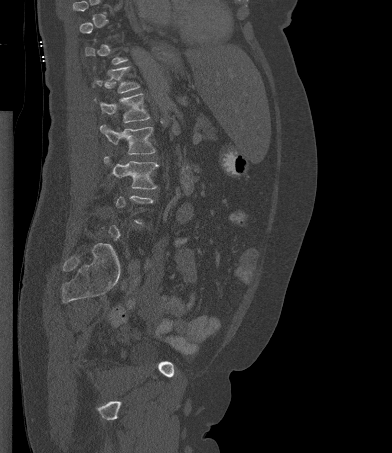

CT spine; 392 mm across the image; sagittal view

Boxes: x1 y1 x2 y2 (pixel coords, space-separated).
Not every vertebra on this slice has a box: a vertebra is boxed only from the first to the last slice where its cross-section is at least a third of its largest, and this slice is outside that range for at least one of them.
Vertebra bounding boxes:
- T12: 93 66 139 93
- L1: 94 93 149 122
- L2: 100 124 155 154
- L3: 104 156 158 189